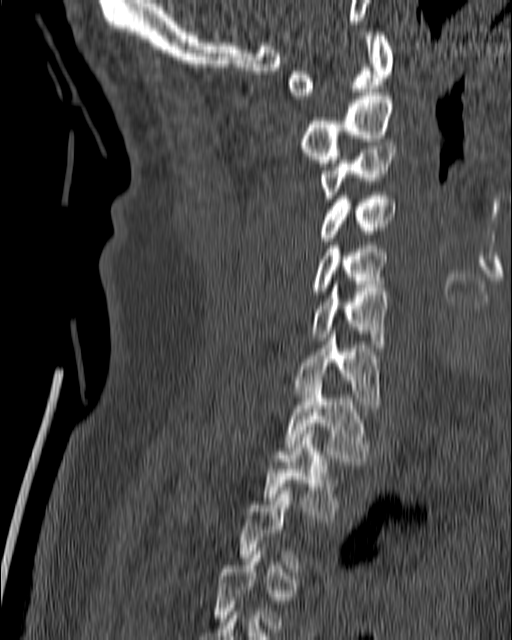 CT — sagittal reformat — bone-window reconstruction — 512x640 px
Boxes: x1 y1 x2 y2 (pixel coords, space-separated). Not every vertebra on this slice has a box: a vertebra is boxed only from the first to the last slice where its cross-section is at least a third of its largest, and this slice is outside that range for at least one of them. Vertebrae labeled: T2 at 262 430 341 522, T1 at 283 380 370 465, C7 at 291 334 381 408, C6 at 311 284 391 347, C5 at 311 245 387 294, C4 at 317 192 395 241, C3 at 319 146 397 202, C2 at 300 92 392 163, C1 at 288 32 393 99.